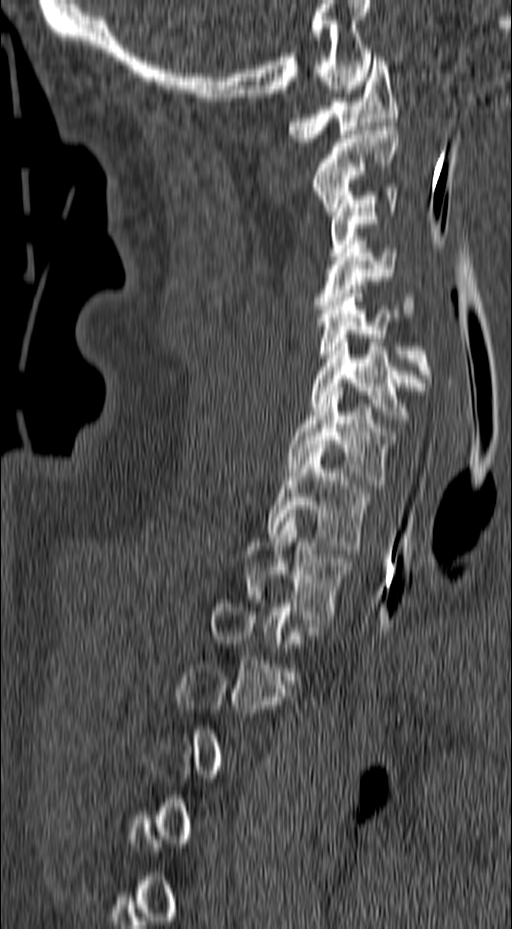 CT spine — sagittal view
Each box is [x1, y1, x2, y2] in pixels: top-left corner, then bottom-right corner.
A vertebra gets a box only on the slices from the first to the last where its cross-section is at least a third of its largest; on a slice outside that range it gets none.
{"vertebrae":{"T2":[246,514,352,623],"T1":[267,448,369,549],"C7":[285,387,398,488],"C6":[311,334,425,423],"C5":[316,289,432,386],"C4":[315,236,416,317],"C3":[328,188,398,256],"C2":[311,122,398,215],"C1":[288,57,398,146]}}